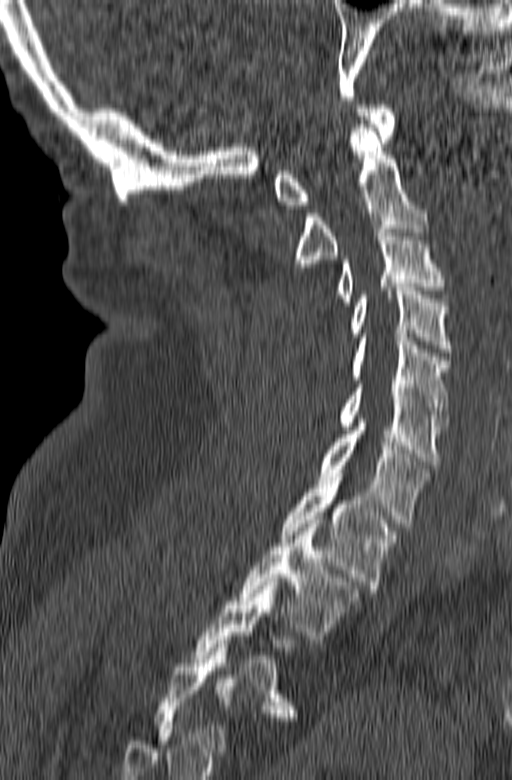 Spine CT. sagittal view. the image is 165 mm wide

Each box given as x1,y1,x2,y2.
In this scan, the topmost labeled vertebra is C1 and the lowest is T3.
| vertebra | x1 | y1 | x2 | y2 |
|---|---|---|---|---|
| C1 | 274 | 105 | 396 | 208 |
| C2 | 296 | 124 | 428 | 271 |
| C3 | 336 | 229 | 444 | 305 |
| C4 | 352 | 287 | 450 | 352 |
| C5 | 352 | 337 | 450 | 418 |
| C6 | 339 | 384 | 448 | 464 |
| C7 | 318 | 419 | 429 | 527 |
| T1 | 281 | 477 | 396 | 592 |
| T2 | 238 | 520 | 361 | 639 |
| T3 | 189 | 578 | 297 | 717 |